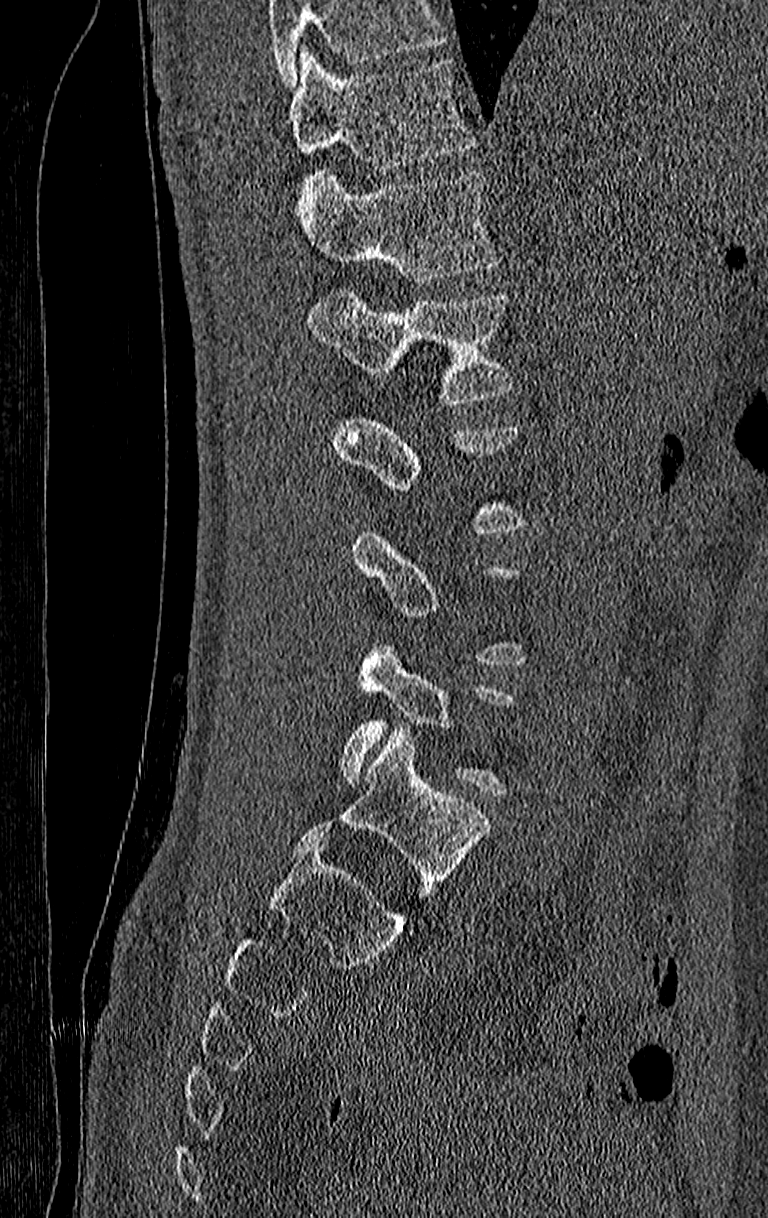 Computed tomography of the spine; image width 210 mm; sagittal view; 768x1218 px. Each box given as x1,y1,x2,y2. A vertebra is boxed only from the first to the last slice where its cross-section is at least a third of its largest; slices outside that range leave it without a box. A vertebra cut off by the top edge of the scan is not labeled and has no box. In this scan, the topmost labeled vertebra is T11 and the lowest is L4. The labeled vertebrae in this slice are: L4 at x1=339, y1=645, x2=513, y2=797, L1 at x1=306, y1=290, x2=513, y2=405, T12 at x1=299, y1=170, x2=499, y2=282, T11 at x1=288, y1=48, x2=473, y2=172.